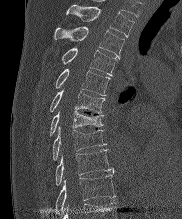 CT, spine · sagittal view · Bone window (WL 400, WW 1800)

Each box given as x1,y1,x2,y2.
T2: x1=66, y1=5, x2=134, y2=37
T3: x1=54, y1=26, x2=124, y2=58
T4: x1=61, y1=47, x2=117, y2=75
T5: x1=54, y1=69, x2=109, y2=95
T6: x1=49, y1=90, x2=105, y2=113
T7: x1=49, y1=111, x2=103, y2=136
T8: x1=52, y1=126, x2=106, y2=160
T9: x1=55, y1=149, x2=113, y2=185
T10: x1=55, y1=174, x2=115, y2=213